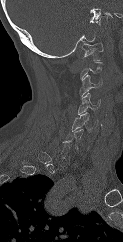

Spine CT — sagittal reformat — bone-window reconstruction
Boxes: x1 y1 x2 y2 (pixel coords, space-separated).
A vertebra is boxed only from the first to the last slice where its cross-section is at least a third of its largest; slices outside that range leave it without a box.
C1: 81 42 103 60
C3: 79 75 102 95
C4: 78 93 100 114
C5: 71 112 98 132
C6: 63 129 83 149